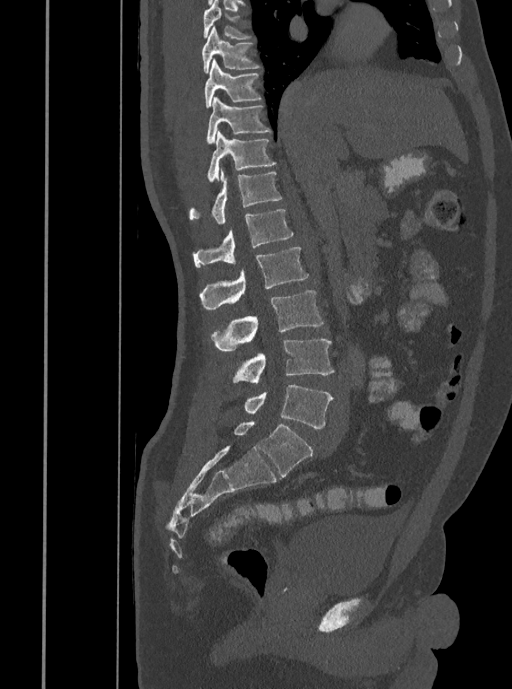
CT; sagittal view; Bone window (WL 400, WW 1800)
<vertebrae><v name="T7" x1="203" y1="0" x2="250" y2="40"/><v name="T8" x1="202" y1="26" x2="260" y2="72"/><v name="T9" x1="204" y1="59" x2="261" y2="107"/><v name="T10" x1="207" y1="97" x2="270" y2="144"/><v name="T11" x1="207" y1="131" x2="275" y2="181"/><v name="T12" x1="189" y1="168" x2="281" y2="224"/><v name="L1" x1="192" y1="209" x2="293" y2="267"/><v name="L2" x1="199" y1="247" x2="308" y2="310"/><v name="L3" x1="211" y1="290" x2="323" y2="350"/><v name="L4" x1="232" y1="339" x2="334" y2="383"/><v name="L5" x1="243" y1="385" x2="333" y2="428"/></vertebrae>